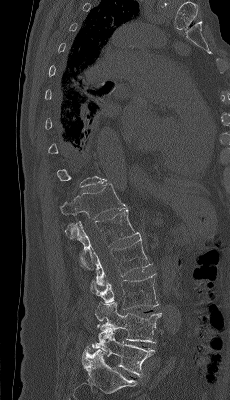 Spine computed tomography. sagittal view. 230x400 px. image width 230 mm
A vertebra gets a box only on the slices from the first to the last where its cross-section is at least a third of its largest; on a slice outside that range it gets none.
<vertebrae><v name="L5" x1="91" y1="327" x2="155" y2="377"/><v name="L4" x1="95" y1="301" x2="162" y2="343"/><v name="L3" x1="90" y1="273" x2="158" y2="309"/><v name="L2" x1="95" y1="236" x2="152" y2="286"/><v name="L1" x1="65" y1="209" x2="140" y2="270"/><v name="T12" x1="60" y1="183" x2="127" y2="219"/></vertebrae>